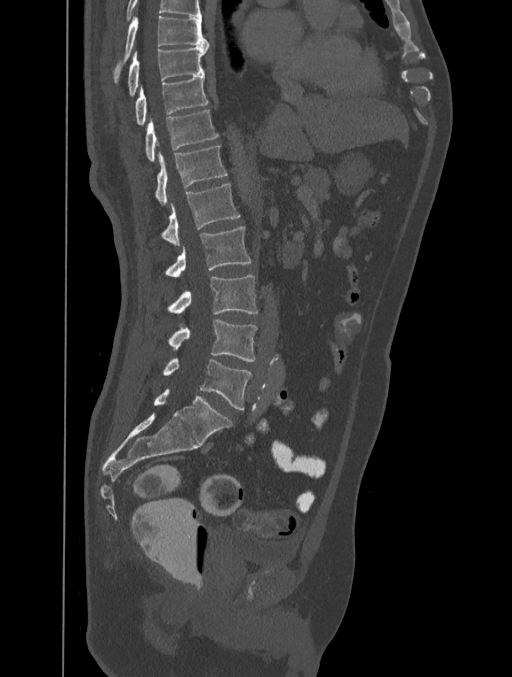 Spine computed tomography — 401 mm wide — sagittal view

Boxes below are [x1, y1, x2, y2] in pixels.
This scan's labels start at T8 at the top and end at L5 at the bottom.
{"vertebrae":{"T8":[113,15,208,83],"T9":[128,43,208,97],"T10":[135,75,208,124],"T11":[145,110,218,161],"T12":[156,146,227,205],"L1":[161,183,240,246],"L2":[165,226,250,277],"L3":[168,275,258,313],"L4":[168,319,257,361],"L5":[163,357,252,409]}}